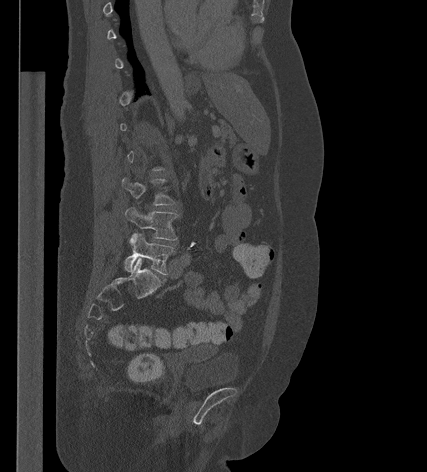

CT, spine; sagittal view; bone window
Coordinates as <box>x1,y1,x2,y2</box>.
A vertebra is boxed only from the first to the last slice where its cross-section is at least a third of its largest; slices outside that range leave it without a box.
L5: <box>124,233,175,275</box>
L4: <box>125,207,178,240</box>
L3: <box>122,178,176,205</box>